Spine CT; the image spans 435 mm across; sagittal reformat; bone-window reconstruction; 8 vertebrae labeled in this scan
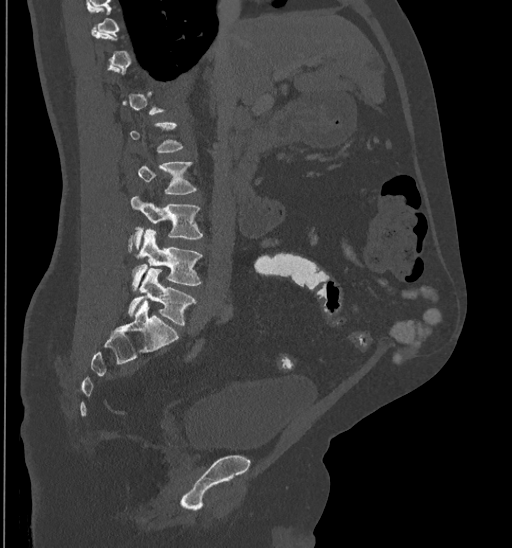 Each row gives a vertebra's box as x1, y1, x2, y2 in pixels: top-left corner, then bottom-right corner.
A vertebra is boxed only from the first to the last slice where its cross-section is at least a third of its largest; slices outside that range leave it without a box.
| vertebra | x1 | y1 | x2 | y2 |
|---|---|---|---|---|
| L5 | 128 | 269 | 195 | 325 |
| L4 | 132 | 229 | 203 | 291 |
| L3 | 128 | 195 | 203 | 251 |
| L2 | 138 | 162 | 197 | 194 |